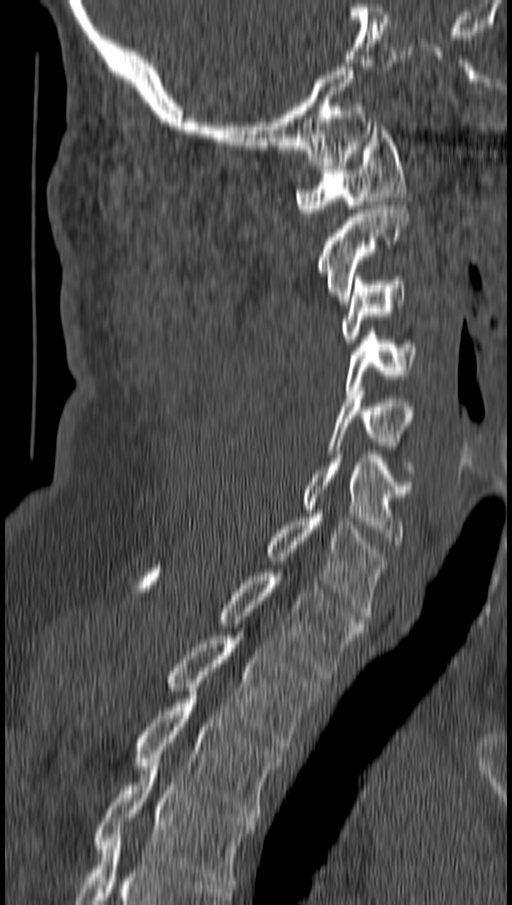
Spine CT; sagittal reformat
Box values are [left, top, right, bottom] in pixels.
{"vertebrae":{"T4":[93,762,256,888],"T3":[134,691,281,817],"T2":[165,632,319,754],"T1":[137,565,364,675],"C7":[263,514,386,619],"C6":[301,454,411,548],"C5":[327,391,414,473],"C4":[342,332,416,398],"C3":[339,277,405,343],"C2":[317,201,408,303],"C1":[295,122,405,216]}}